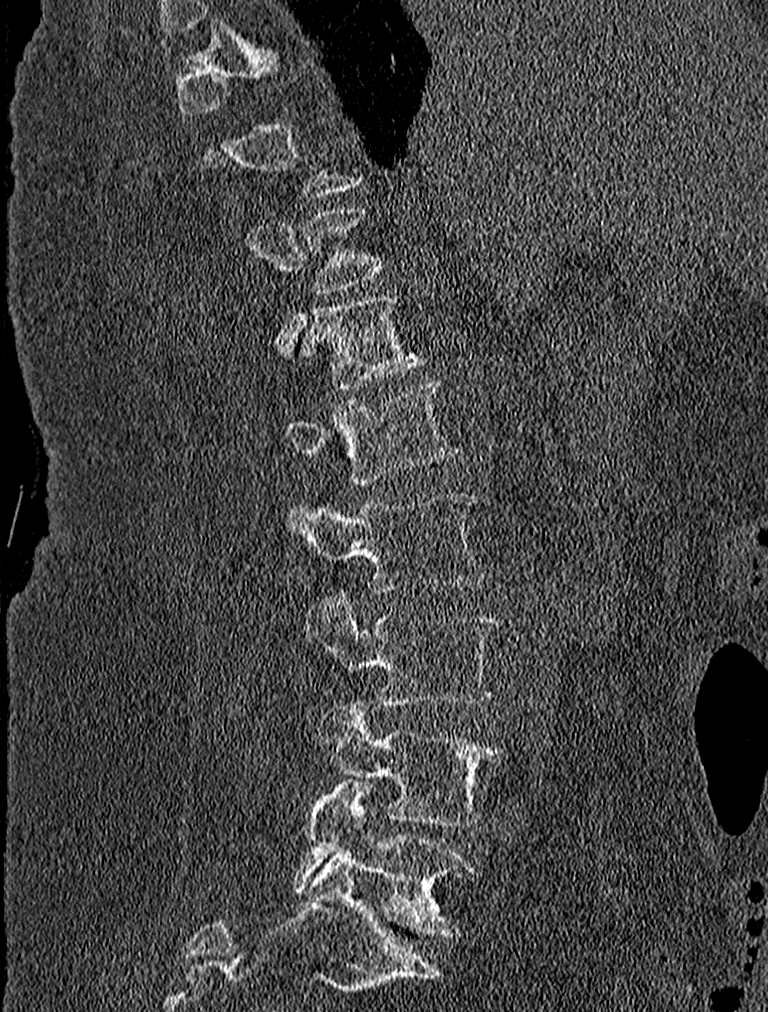 Spine CT — sagittal view — bone window — 768x1012 px
Box edges are left/top/right/bottom in pixels.
Each vertebra is boxed only on the slices from the first to the last where its cross-section reaches a third of its largest, so a slice outside that range leaves it unboxed.
T11: left=300, top=207, right=384, bottom=293
T12: left=299, top=294, right=424, bottom=389
L1: left=283, top=379, right=458, bottom=483
L2: left=286, top=490, right=488, bottom=593
L3: left=303, top=591, right=502, bottom=704
L4: left=313, top=702, right=503, bottom=826
L5: left=293, top=781, right=471, bottom=935